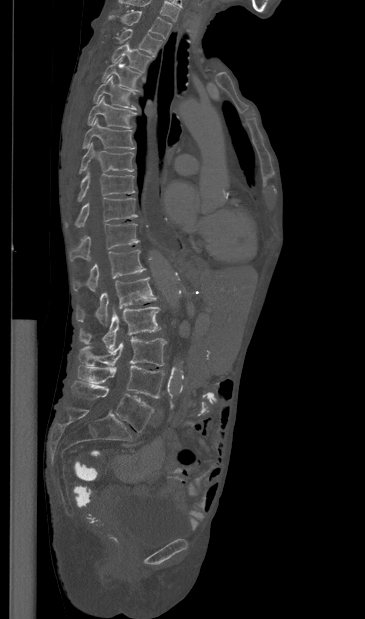
Spine CT — sagittal view — Bone window (WL 400, WW 1800) — the image is 365 mm wide — 365x619 px. Boxes are (x1, y1, x2, y2) in pixels. The highest labeled vertebra in this scan is T1; the lowest is L5. Vertebrae labeled: L5 at (71, 381, 153, 432), L4 at (78, 365, 164, 398), L3 at (78, 337, 167, 366), L2 at (79, 307, 160, 350), L1 at (76, 277, 157, 323), T12 at (73, 249, 146, 291), T11 at (69, 222, 139, 261), T10 at (65, 197, 137, 227), T9 at (77, 170, 134, 201), T8 at (79, 142, 134, 173), T7 at (82, 118, 134, 149), T6 at (87, 96, 135, 128), T5 at (93, 75, 136, 109), T4 at (102, 57, 141, 90), T3 at (111, 42, 151, 71), T2 at (117, 28, 162, 56), T1 at (109, 10, 172, 38).